CT — sagittal view — Bone window (WL 400, WW 1800) — 512x782 px — 10 vertebrae labeled in this scan
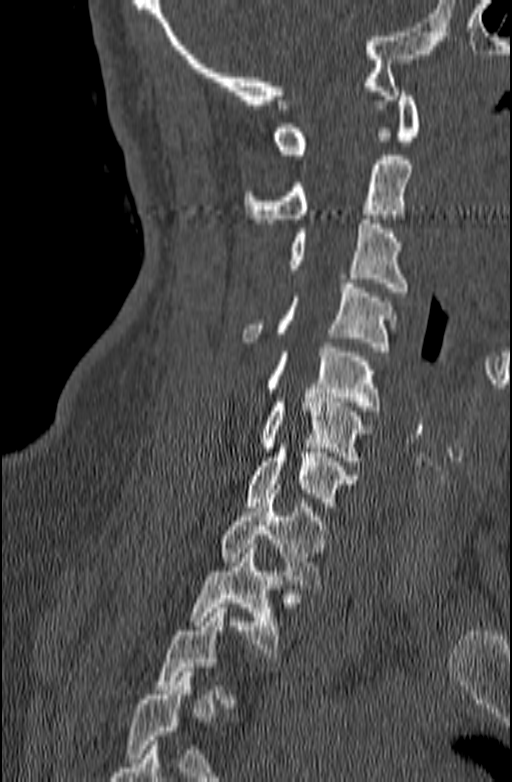
Boxes: x1 y1 x2 y2 (pixel coords, space-separated).
Not every vertebra on this slice has a box: a vertebra is boxed only from the first to the last slice where its cross-section is at least a third of its largest, and this slice is outside that range for at least one of them.
Vertebra bounding boxes:
- C1: 273 87 421 154
- C2: 244 155 412 223
- C3: 285 219 407 292
- C4: 242 283 397 351
- C5: 265 343 380 410
- C6: 260 393 373 465
- C7: 246 443 357 516
- T1: 217 489 329 589
- T2: 188 544 282 657